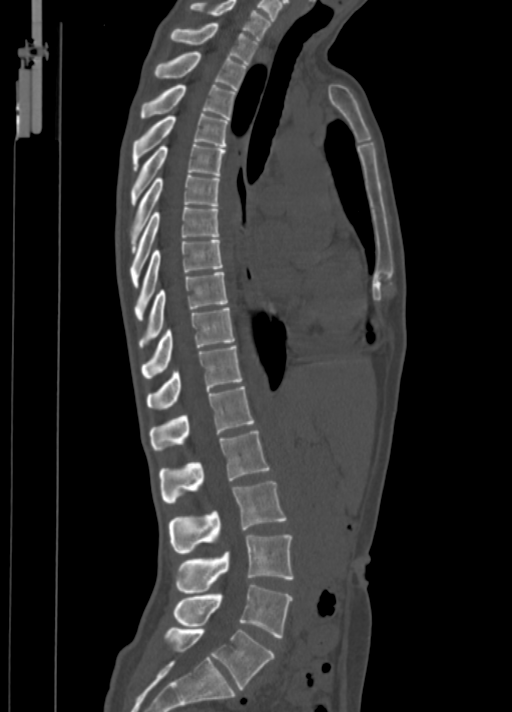
CT spine · sagittal view
Coordinates as <box>x1,y1,x2,y2</box>.
C7: <box>190,0,270,38</box>
T1: <box>169,23,258,63</box>
T2: <box>155,51,246,90</box>
T3: <box>140,85,236,119</box>
T4: <box>133,114,228,170</box>
T5: <box>130,143,226,205</box>
T6: <box>130,174,220,252</box>
T7: <box>130,206,218,287</box>
T8: <box>134,240,223,319</box>
T9: <box>139,272,227,347</box>
T10: <box>142,307,234,378</box>
T11: <box>146,345,242,409</box>
T12: <box>149,386,255,451</box>
L1: <box>159,430,269,504</box>
L2: <box>168,481,287,553</box>
L3: <box>175,534,293,593</box>
L4: <box>174,585,293,638</box>
L5: <box>167,628,274,689</box>